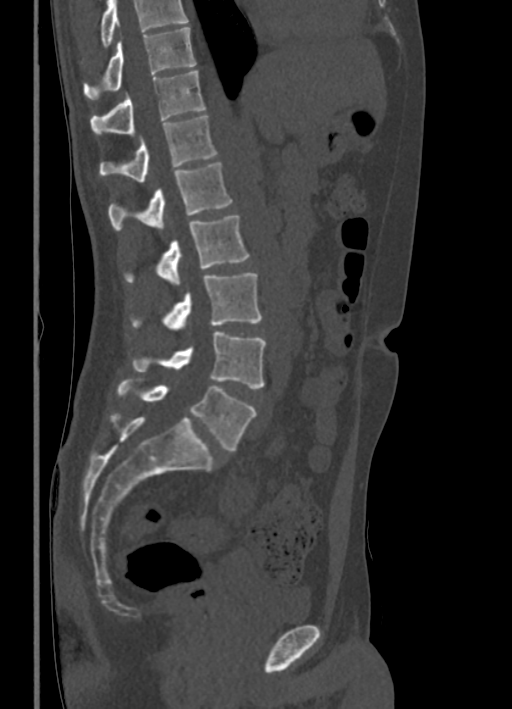
CT spine — sagittal view — 336 mm image width — bone window
A vertebra cut off by the top edge of the scan is not labeled and has no box.
<vertebrae><v name="T10" x1="84" y1="27" x2="195" y2="99"/><v name="T11" x1="90" y1="70" x2="205" y2="134"/><v name="T12" x1="99" y1="115" x2="217" y2="182"/><v name="L1" x1="108" y1="161" x2="232" y2="231"/><v name="L2" x1="125" y1="215" x2="249" y2="286"/><v name="L3" x1="132" y1="273" x2="261" y2="330"/><v name="L4" x1="132" y1="331" x2="266" y2="388"/><v name="L5" x1="117" y1="379" x2="256" y2="450"/></vertebrae>